CT. sagittal reformat. Bone window (WL 400, WW 1800)
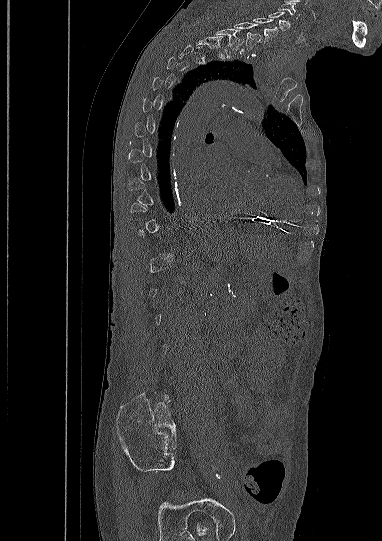

Boxes: x1:y1:x2:y2 in pixels.
Each vertebra is boxed only on the slices from the first to the last where its cross-section reaches a third of its largest, so a slice outside that range leaves it unboxed.
In this scan, the topmost labeled vertebra is C5 and the lowest is L5.
T1: 214:27:243:57
C7: 233:22:261:49
C6: 253:18:278:43
C5: 268:11:290:31